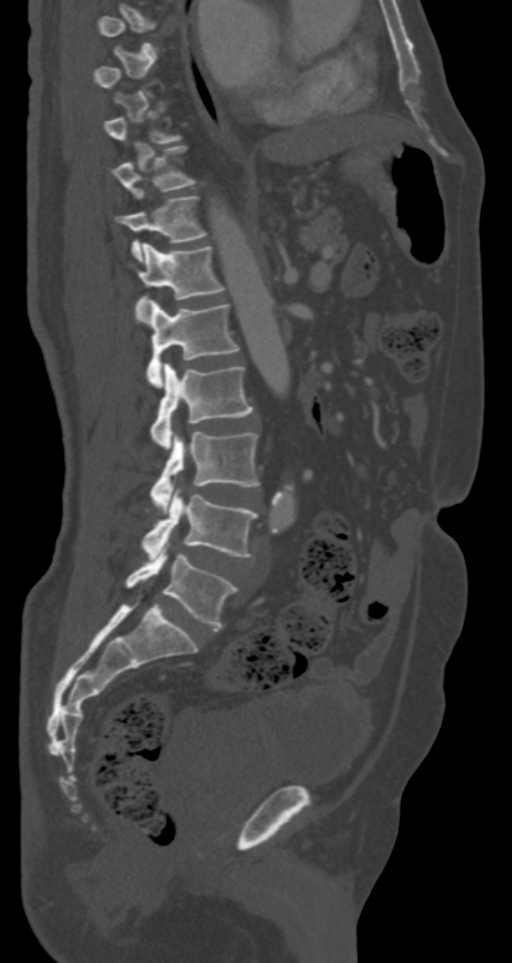 Spine CT — sagittal view — bone window — the image is 287 mm wide
Each vertebra maps to its box as [x1, y1, x2, y2], the pixel coordinates of its top-left and bottom-right corners.
Not every vertebra on this slice has a box: a vertebra is boxed only from the first to the last slice where its cross-section is at least a third of its largest, and this slice is outside that range for at least one of them.
{"vertebrae":{"T10":[114,146,197,199],"T11":[116,196,207,261],"T12":[135,242,227,320],"L1":[146,300,239,386],"L2":[149,363,254,449],"L3":[149,431,259,509],"L4":[142,491,257,558],"L5":[126,546,238,630]}}